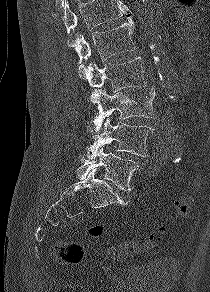

Spine computed tomography; sagittal reformat

Bounding boxes as [x1, y1, x2, y2] in pixel coordinates.
No box is given to a vertebra that the top edge of the scan cuts off.
Vertebra bounding boxes:
- L5: [77, 146, 140, 190]
- L4: [86, 117, 154, 159]
- L3: [85, 88, 155, 137]
- L2: [79, 57, 147, 92]
- L1: [67, 16, 136, 63]